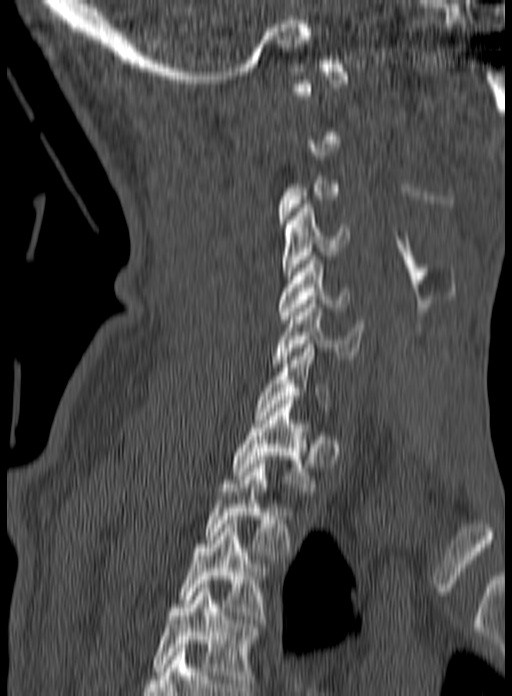
Spine computed tomography. sagittal reformat. 160 mm across the image. bone-window reconstruction

Boxes are (x1, y1, x2, y2) in pixels.
A vertebra gets a box only on the slices from the first to the last where its cross-section is at least a third of its largest; on a slice outside that range it gets none.
The highest labeled vertebra in this scan is C1; the lowest is T3.
Vertebra bounding boxes:
- C4: (282, 204, 349, 279)
- C5: (278, 256, 349, 319)
- C6: (273, 300, 364, 363)
- C7: (254, 340, 329, 419)
- T1: (232, 400, 314, 491)
- T2: (206, 464, 291, 559)
- T3: (180, 516, 264, 619)